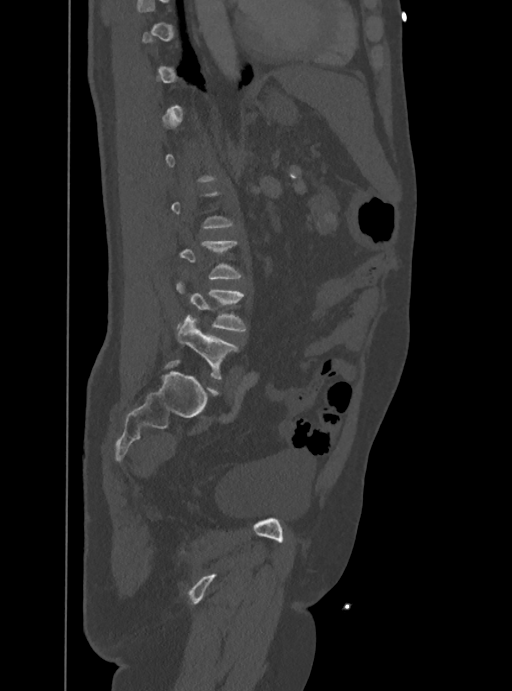
CT spine · sagittal view · image 388 mm wide · 512x691 px

Each box given as x1,y1,x2,y2.
A vertebra gets a box only on the slices from the first to the last where its cross-section is at least a third of its largest; on a slice outside that range it gets none.
L4: x1=175, y1=281, x2=246, y2=332
L5: x1=177, y1=315, x2=238, y2=379